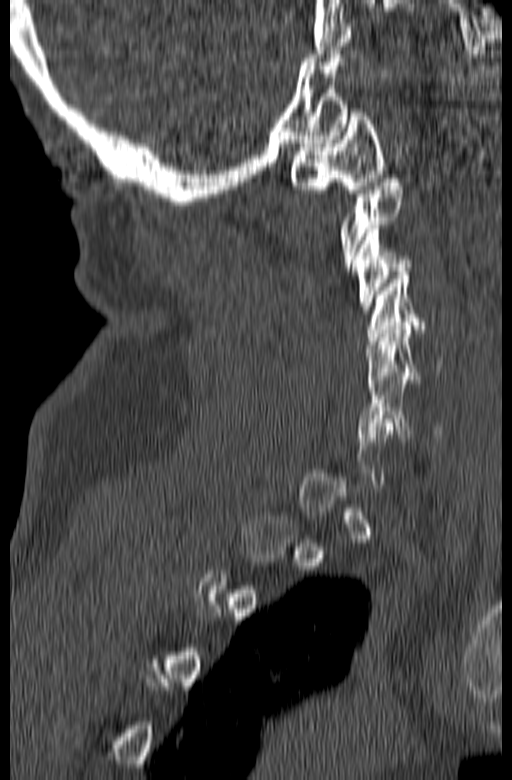
Spine CT. sagittal view. 512x780 px

Each box given as x1,y1,x2,y2.
A vertebra is boxed only from the first to the last slice where its cross-section is at least a third of its largest; slices outside that range leave it without a box.
Vertebra bounding boxes:
- C1: x1=290, y1=109, x2=385, y2=197
- C3: x1=353, y1=225, x2=413, y2=313
- C4: x1=367, y1=272, x2=434, y2=344
- C5: x1=366, y1=322, x2=441, y2=391
- C6: x1=356, y1=376, x2=442, y2=441